Spine CT. sagittal plane, index 272. bone-window reconstruction. 512x808 px
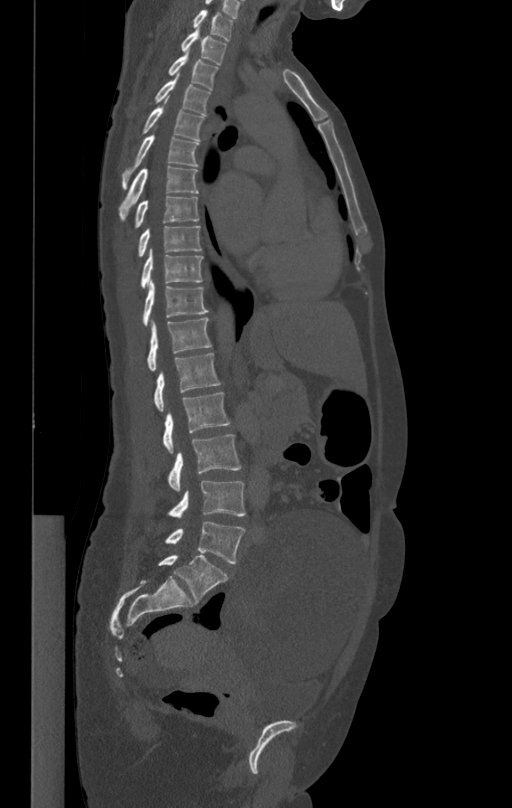
Boxes: x1 y1 x2 y2 (pixel coords, space-separated).
Vertebra bounding boxes:
- L5: 165 520 245 563
- L4: 169 480 245 518
- L3: 169 434 241 491
- L2: 163 393 230 453
- L1: 154 352 220 412
- T12: 147 318 211 370
- T11: 143 280 208 324
- T10: 141 248 203 288
- T9: 138 226 201 256
- T8: 135 196 199 227
- T7: 119 167 198 218
- T6: 122 135 199 189
- T5: 142 107 204 140
- T4: 154 77 210 115
- T3: 168 54 219 90
- T2: 180 30 226 65
- T1: 192 10 233 39